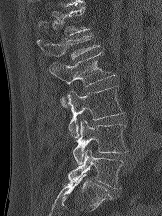 CT — sagittal view
Box edges are left/top/right/bottom in pixels.
L5: left=68, top=149, right=123, bottom=189
L4: left=73, top=120, right=127, bottom=164
L3: left=67, top=85, right=124, bottom=137
L2: left=48, top=52, right=114, bottom=107
L1: left=37, top=34, right=99, bottom=59
T12: left=39, top=6, right=89, bottom=35